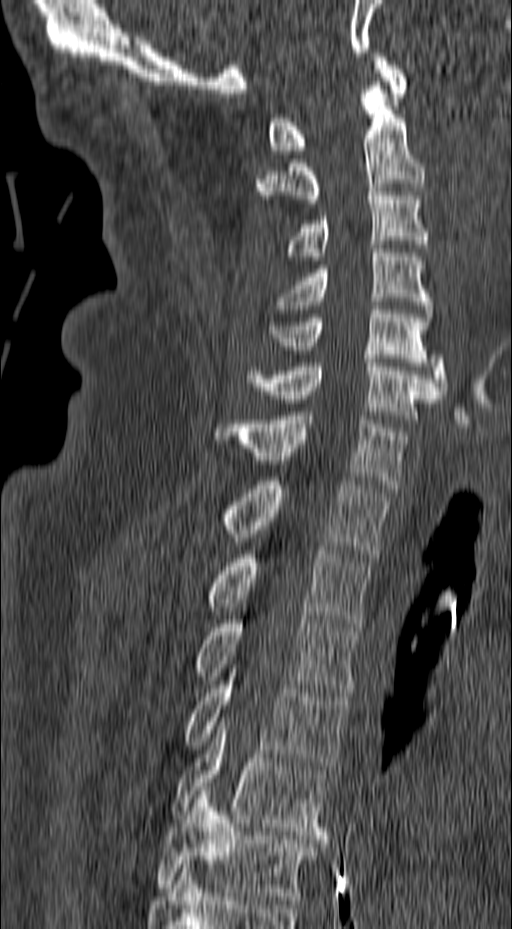
Computed tomography of the spine; sagittal view
Each row gives a vertebra's box as x1, y1, x2, y2 in pixels: top-left corner, then bottom-right corner.
| vertebra | x1 | y1 | x2 | y2 |
|---|---|---|---|---|
| C1 | 268 | 53 | 407 | 154 |
| C2 | 256 | 82 | 425 | 203 |
| C3 | 283 | 188 | 431 | 260 |
| C4 | 274 | 249 | 433 | 317 |
| C5 | 269 | 306 | 448 | 394 |
| C6 | 245 | 359 | 438 | 419 |
| C7 | 216 | 412 | 408 | 488 |
| T1 | 220 | 477 | 388 | 557 |
| T2 | 207 | 546 | 372 | 627 |
| T3 | 194 | 616 | 359 | 696 |
| T4 | 184 | 669 | 349 | 769 |
| T5 | 170 | 717 | 333 | 839 |
| T6 | 155 | 791 | 320 | 904 |